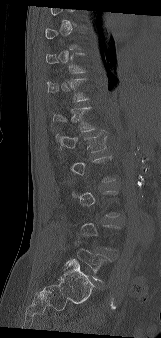 Computed tomography of the spine; sagittal reformat
Not every vertebra on this slice has a box: a vertebra is boxed only from the first to the last slice where its cross-section is at least a third of its largest, and this slice is outside that range for at least one of them.
<vertebrae><v name="T10" x1="45" y1="53" x2="87" y2="73"/><v name="T11" x1="47" y1="78" x2="90" y2="101"/><v name="T12" x1="53" y1="107" x2="96" y2="132"/><v name="L1" x1="56" y1="132" x2="108" y2="152"/><v name="L5" x1="68" y1="241" x2="110" y2="280"/></vertebrae>